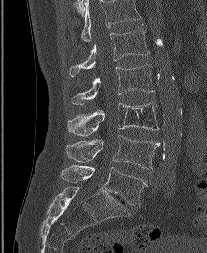 Spine CT — sagittal view — image width 207 mm — 207x253 px

Columns x1, y1, x2, y2 give each box's top-left and bottom-right pixels.
In this scan, the topmost labeled vertebra is L1 and the lowest is L5.
| vertebra | x1 | y1 | x2 | y2 |
|---|---|---|---|---|
| L1 | 69 | 28 | 149 | 76 |
| L2 | 71 | 64 | 153 | 104 |
| L3 | 67 | 102 | 158 | 135 |
| L4 | 66 | 135 | 159 | 169 |
| L5 | 61 | 165 | 145 | 205 |